CT. Sagittal slice 267/512. bone-window reconstruction. image 461 mm wide
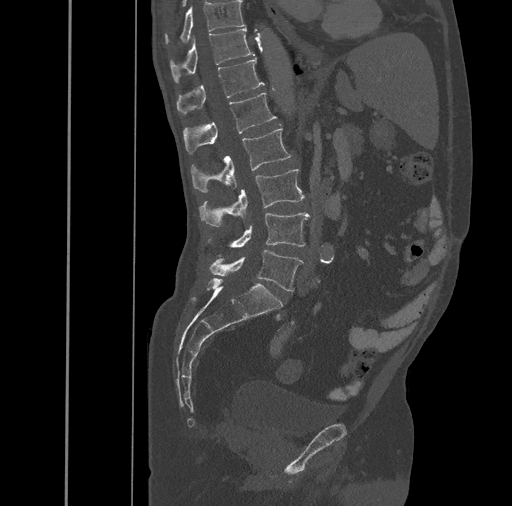 <vertebrae><v name="L5" x1="209" y1="249" x2="303" y2="291"/><v name="L4" x1="207" y1="213" x2="310" y2="255"/><v name="L3" x1="199" y1="169" x2="304" y2="226"/><v name="L2" x1="191" y1="128" x2="292" y2="192"/><v name="L1" x1="183" y1="93" x2="276" y2="154"/><v name="T12" x1="177" y1="57" x2="265" y2="114"/><v name="T11" x1="170" y1="28" x2="253" y2="82"/><v name="T10" x1="165" y1="1" x2="244" y2="43"/></vertebrae>